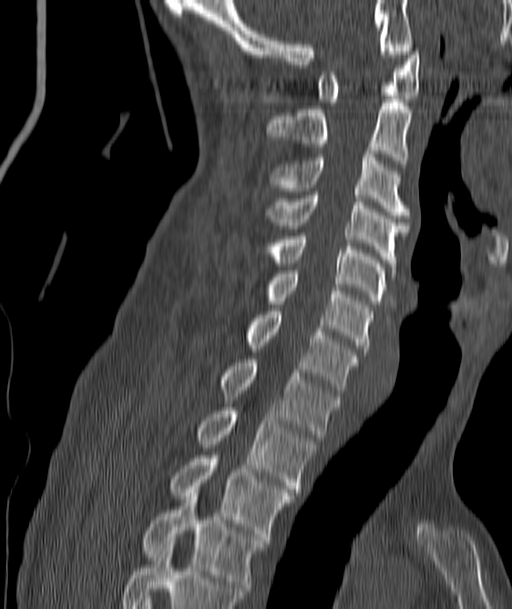
CT spine · image 187 mm wide · sagittal view · Bone window (WL 400, WW 1800)
Boxes below are [x1, y1, x2, y2] in pixels.
{"vertebrae":{"C1":[318,48,419,102],"C2":[266,99,411,163],"C3":[269,151,408,218],"C4":[266,192,408,269],"C5":[269,233,386,304],"C6":[266,274,372,352],"C7":[247,311,359,393],"T1":[220,359,339,437],"T2":[198,407,315,492],"T3":[171,455,293,540],"T4":[143,496,265,595]}}